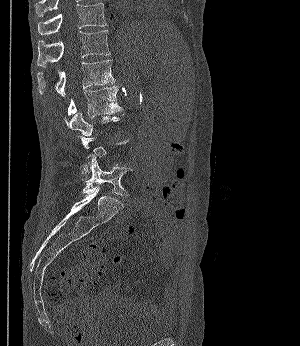
Computed tomography of the spine. sagittal reformat. bone-window reconstruction

Each box is [x1, y1, x2, y2] in pixels: top-left corner, then bottom-right corner.
Each vertebra is boxed only on the slices from the first to the last where its cross-section reaches a third of its largest, so a slice outside that range leaves it unboxed.
{"vertebrae":{"T11":[37,3,106,34],"T12":[37,30,110,67],"L1":[37,59,114,96],"L2":[68,85,122,117],"L5":[82,154,133,195]}}